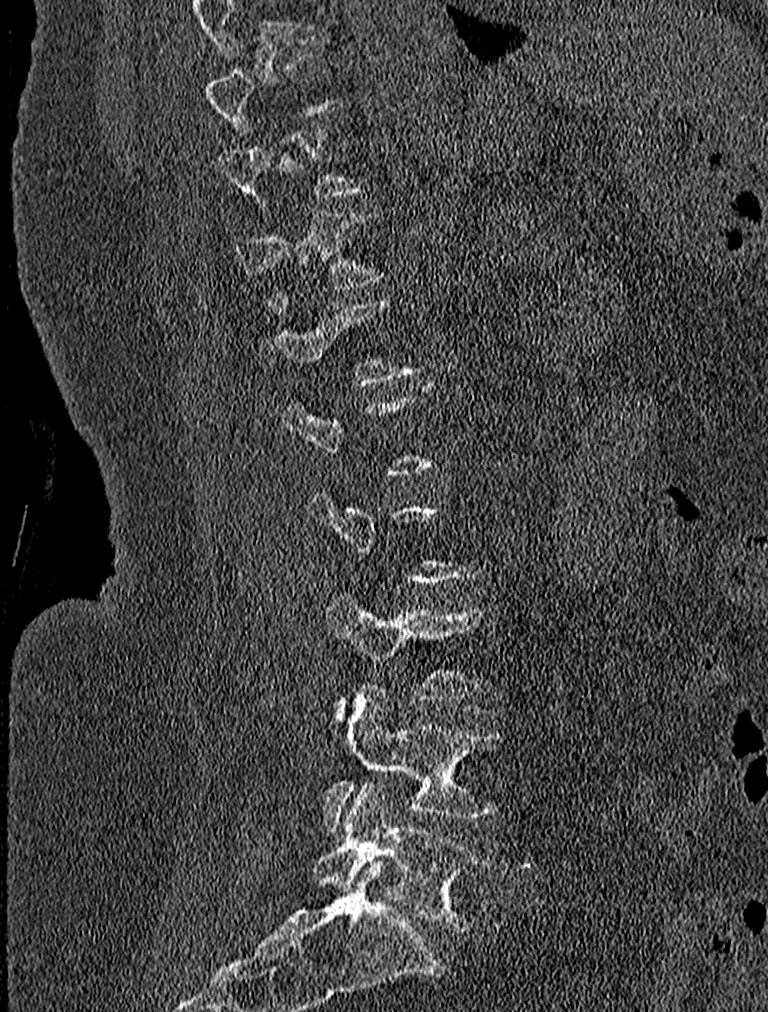 CT spine — sagittal reformat — bone window — 768x1012 px — the image is 227 mm wide
Box edges are left/top/right/bottom in pixels.
Each vertebra is boxed only on the slices from the first to the last where its cross-section reaches a third of its largest, so a slice outside that range leaves it unboxed.
Vertebra bounding boxes:
- L5: left=310, top=779, right=492, bottom=931
- L4: left=324, top=685, right=508, bottom=833
- L3: left=327, top=594, right=482, bottom=725
- T12: left=262, top=291, right=417, bottom=384
- T11: left=235, top=210, right=384, bottom=303